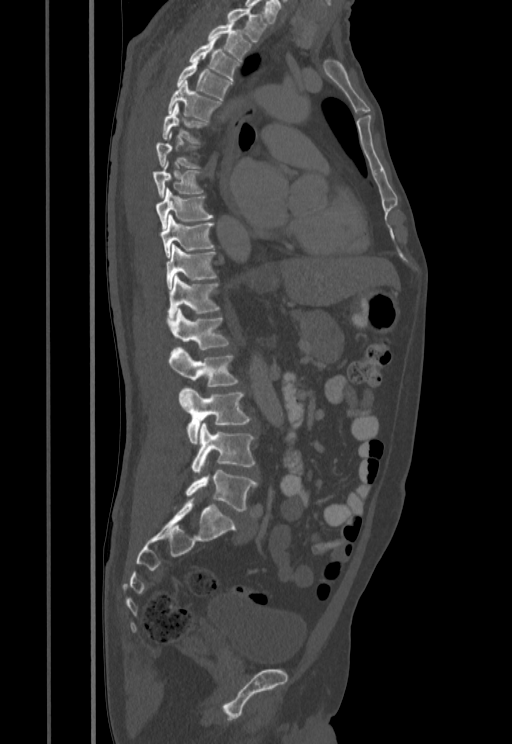
Spine computed tomography. sagittal view. 455 mm across the image
Columns x1, y1, x2, y2 give each box's top-left and bottom-right pixels.
A vertebra gets a box only on the slices from the first to the last where its cross-section is at least a third of its largest; on a slice outside that range it gets none.
| vertebra | x1 | y1 | x2 | y2 |
|---|---|---|---|---|
| T1 | 227 | 8 | 267 | 41 |
| T2 | 207 | 23 | 251 | 62 |
| T3 | 189 | 35 | 240 | 81 |
| T4 | 177 | 60 | 232 | 99 |
| T5 | 168 | 80 | 221 | 121 |
| T6 | 162 | 104 | 206 | 142 |
| T8 | 153 | 163 | 203 | 197 |
| T9 | 155 | 187 | 213 | 228 |
| T10 | 161 | 214 | 214 | 258 |
| T11 | 166 | 245 | 216 | 289 |
| T12 | 168 | 274 | 219 | 318 |
| L1 | 167 | 308 | 228 | 349 |
| L2 | 169 | 347 | 237 | 386 |
| L3 | 179 | 388 | 251 | 443 |
| L4 | 191 | 422 | 254 | 473 |
| L5 | 186 | 470 | 257 | 511 |